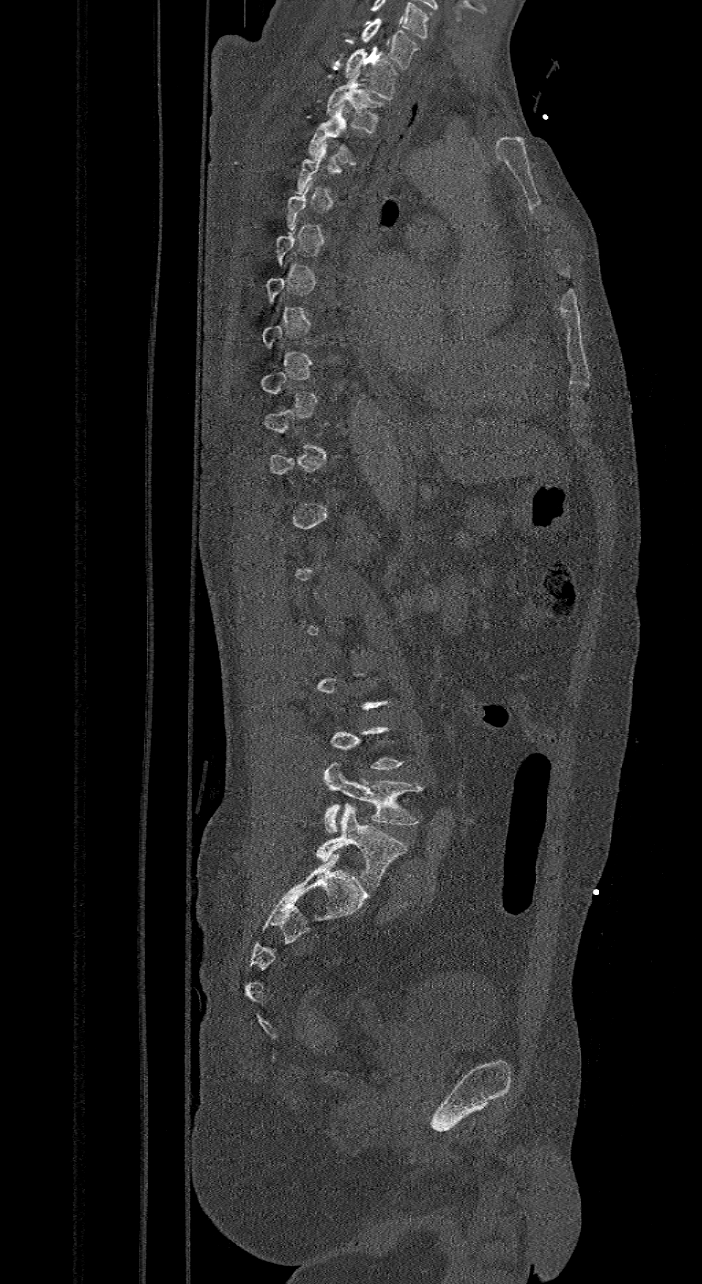

Spine computed tomography; sagittal view; bone-window reconstruction; 702x1284 px
Box values are [left, top, right, bottom] in pixels.
A vertebra is boxed only from the first to the last slice where its cross-section is at least a third of its largest; slices outside that range leave it without a box.
In this scan, the topmost labeled vertebra is C7 and the lowest is L6.
In these labels the spine has an L6, a sixth lumbar vertebra below L5.
{"vertebrae":{"C7":[360,18,420,68],"T1":[345,47,398,99],"T2":[325,72,381,132],"T3":[308,104,355,165],"L5":[322,763,422,832],"L6":[317,804,407,887]}}